Spine computed tomography; sagittal view; image width 421 mm; W/L 1800/400 HU
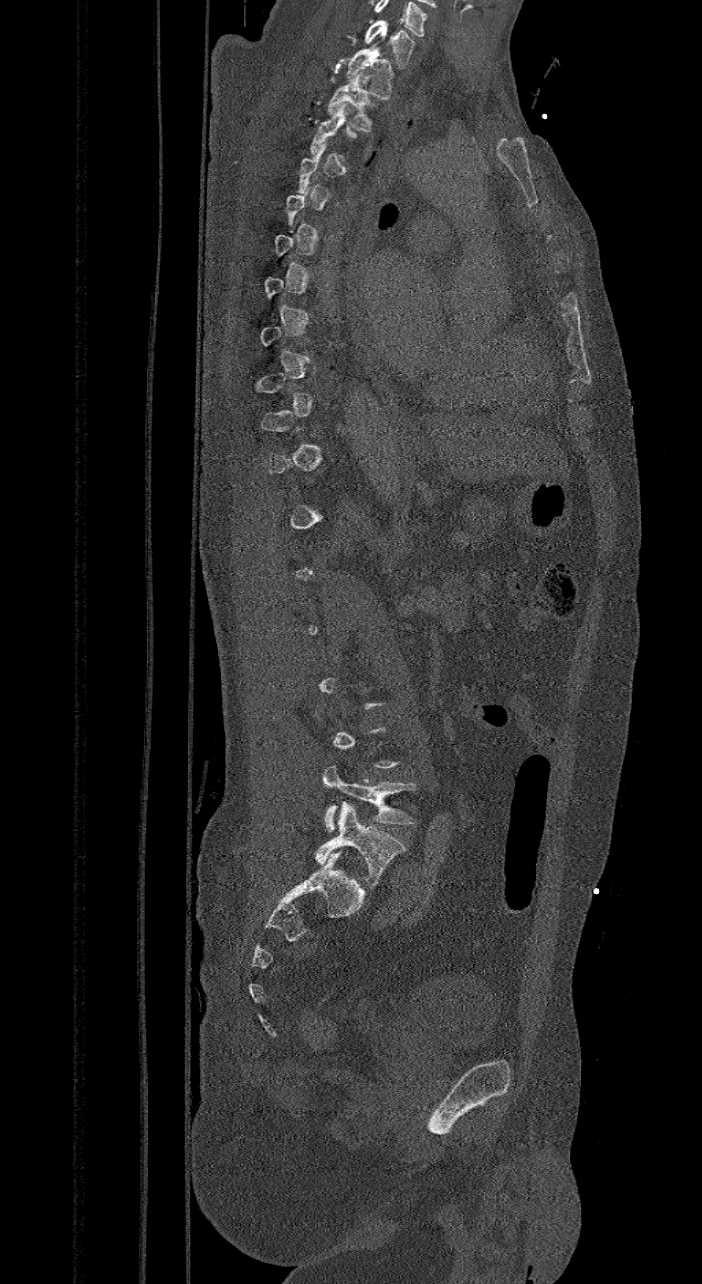
Each vertebra maps to its box as [x1, y1, x2, y2], the pixel coordinates of its top-left and bottom-right corners.
Not every vertebra on this slice has a box: a vertebra is boxed only from the first to the last slice where its cross-section is at least a third of its largest, and this slice is outside that range for at least one of them.
This scan's labels start at C7 at the top and end at L6 at the bottom.
The labels name a sixth lumbar vertebra for this spine: L6, after L5.
{"vertebrae":{"C7":[363,20,414,68],"T1":[347,44,394,99],"T2":[326,72,379,131],"L5":[322,764,417,832],"L6":[315,802,406,885]}}